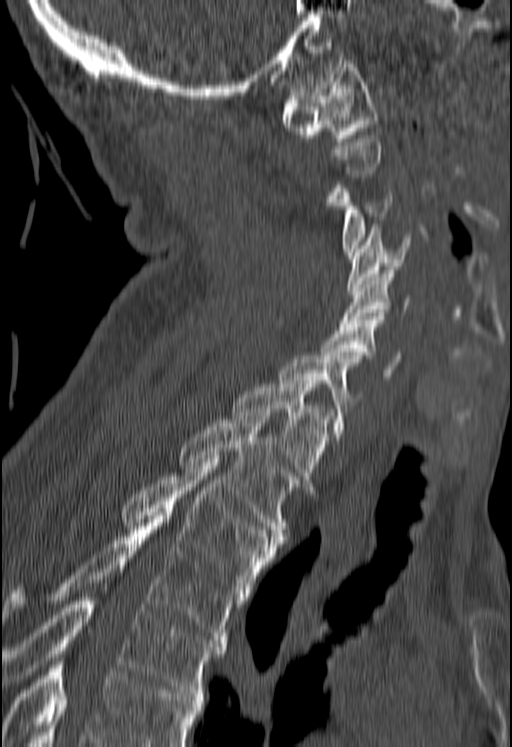
Computed tomography of the spine — sagittal view. In the table, x1 and y1 are a box's top-left corner and x2 and y2 its bottom-right corner, in pixels.
Not every vertebra on this slice has a box: a vertebra is boxed only from the first to the last slice where its cross-section is at least a third of its largest, and this slice is outside that range for at least one of them.
A vertebra cut off by the bottom edge of the scan is not labeled and has no box.
| vertebra | x1 | y1 | x2 | y2 |
|---|---|---|---|---|
| C1 | 282 | 60 | 378 | 141 |
| C3 | 331 | 178 | 392 | 255 |
| C4 | 347 | 228 | 410 | 291 |
| C5 | 339 | 270 | 410 | 326 |
| C6 | 321 | 316 | 401 | 379 |
| C7 | 280 | 356 | 359 | 440 |
| T1 | 231 | 380 | 332 | 490 |
| T2 | 180 | 416 | 296 | 539 |
| T3 | 123 | 459 | 279 | 593 |
| T4 | 3 | 516 | 242 | 643 |
| T5 | 1 | 590 | 225 | 696 |